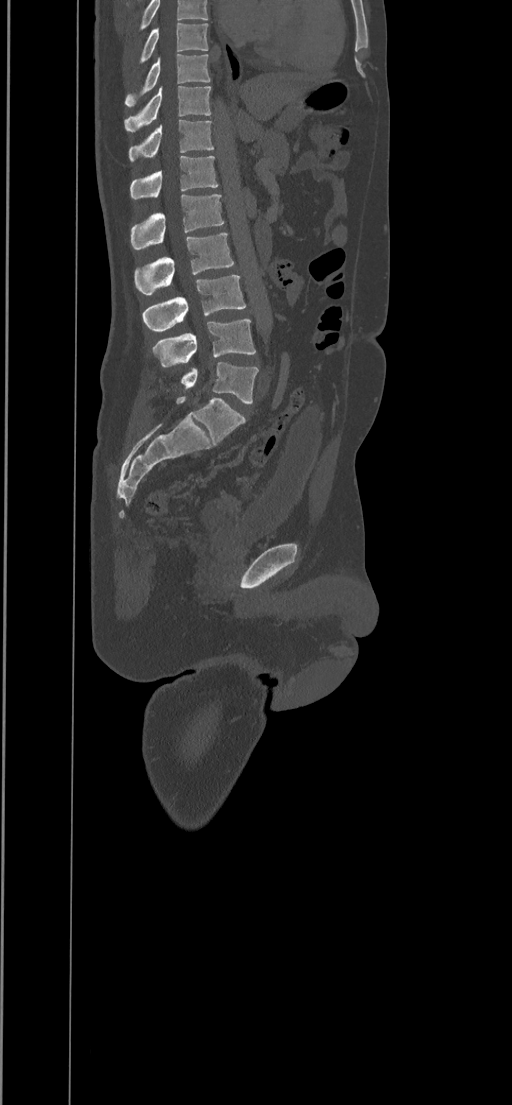 CT spine · sagittal view · bone-window reconstruction
Coordinates as <box>x1,y1,x2,y2</box>. Labels in this scan begin with T8 at the top and end with L5 at the bottom. 10 vertebrae labeled — L5 at <box>166,362,258,404</box>; L4 at <box>152,319,255,366</box>; L3 at <box>143,275,245,331</box>; L2 at <box>134,233,234,294</box>; L1 at <box>131,194,224,250</box>; T12 at <box>130,156,218,199</box>; T11 at <box>128,119,214,161</box>; T10 at <box>124,86,211,131</box>; T9 at <box>124,54,210,107</box>; T8 at <box>140,22,208,63</box>.